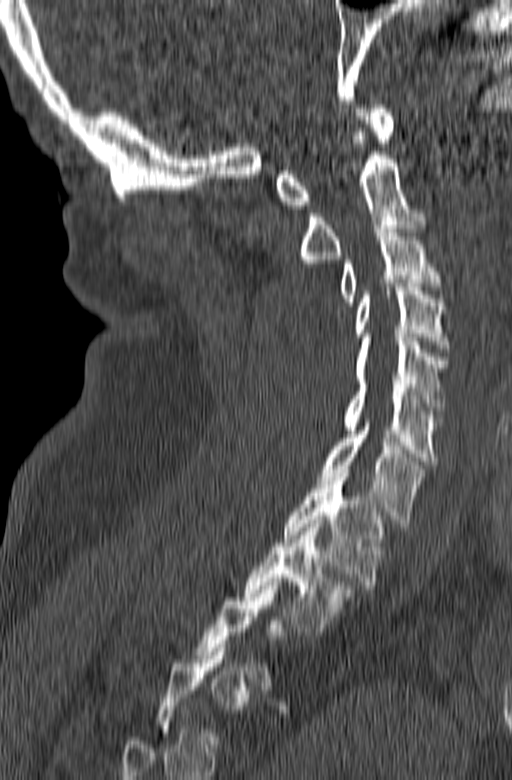
CT; sagittal view; bone-window reconstruction

Box edges are left/top/right/bottom in pixels.
A vertebra is boxed only from the first to the last slice where its cross-section is at least a third of its largest; slices outside that range leave it without a box.
C1: left=276, top=105, right=394, bottom=208
C2: left=299, top=132, right=426, bottom=267
C3: left=339, top=225, right=441, bottom=305
C4: left=355, top=283, right=449, bottom=352
C5: left=355, top=337, right=447, bottom=418
C6: left=342, top=380, right=441, bottom=464
C7: left=318, top=419, right=425, bottom=527
T1: left=284, top=469, right=384, bottom=592
T2: left=242, top=520, right=353, bottom=631